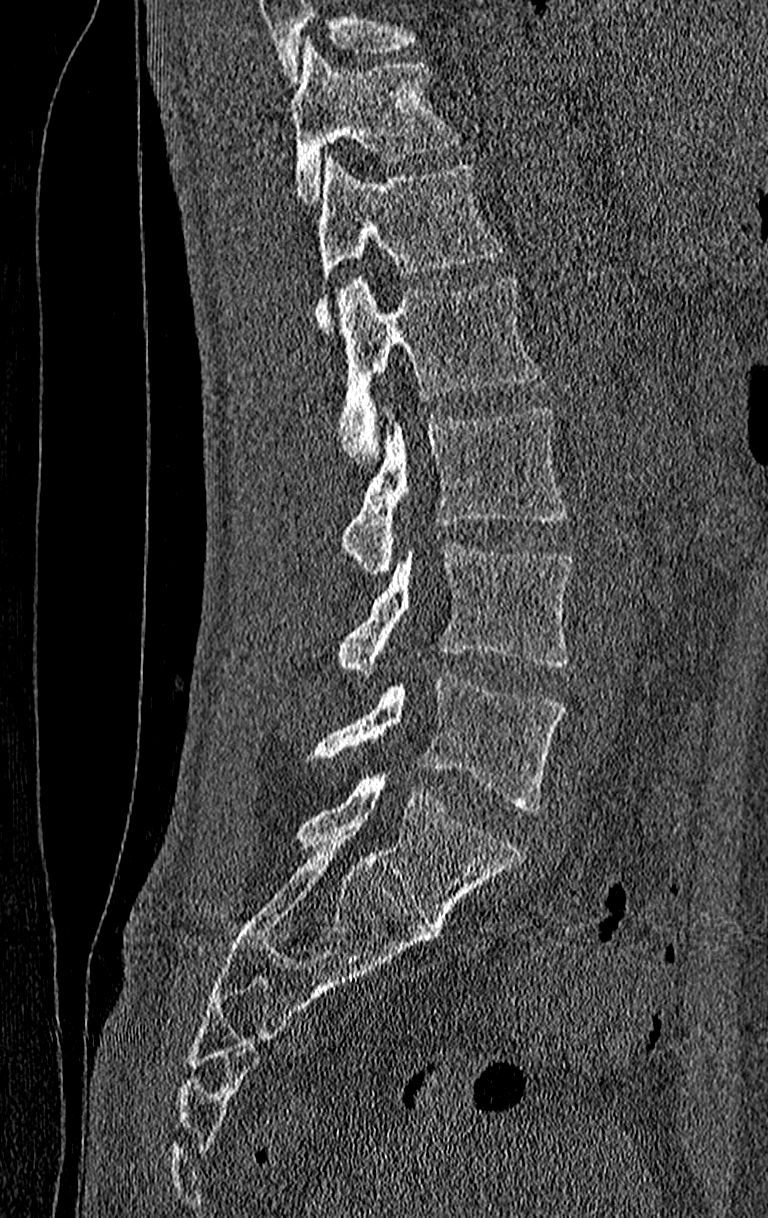
Spine computed tomography · sagittal reformat · 768x1218 px
Boxes are (x1, y1, x2, y2) in pixels.
A vertebra cut off by the top edge of the scan is not labeled and has no box.
Labels in this scan begin with T11 at the top and end with L4 at the bottom.
T11: (291, 41, 462, 205)
T12: (317, 155, 506, 330)
L1: (338, 275, 543, 465)
L2: (342, 406, 565, 573)
L3: (335, 541, 575, 672)
L4: (306, 673, 565, 812)